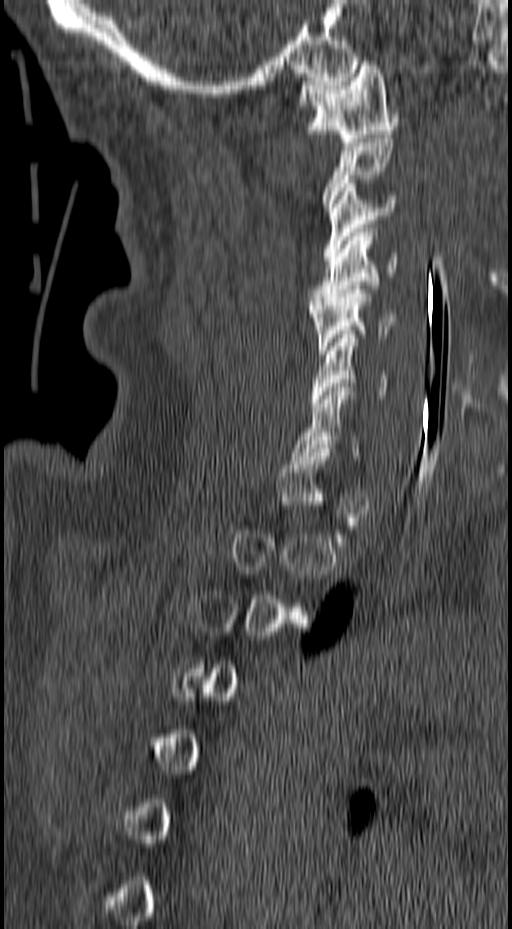
CT; sagittal view; Bone window (WL 400, WW 1800); 157 mm across the image; 512x929 px. Boxes: x1 y1 x2 y2 (pixel coords, space-separated). A vertebra is boxed only from the first to the last slice where its cross-section is at least a third of its largest; slices outside that range leave it without a box. The labeled vertebrae in this slice are: C1 at 298 61 398 142, C3 at 322 183 397 260, C4 at 309 228 398 305, C5 at 309 285 397 354, C6 at 311 334 388 407, C7 at 291 387 359 460.